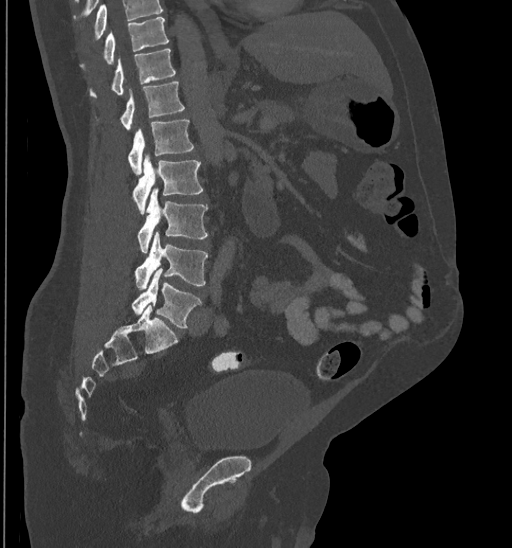

Computed tomography of the spine. sagittal view. Bone window (WL 400, WW 1800)
Boxes are (x1, y1, x2, y2) in pixels.
No box is given to a vertebra that the top edge of the scan cuts off.
Vertebra bounding boxes:
- L5: (132, 270, 201, 327)
- L4: (135, 231, 207, 290)
- L3: (138, 189, 207, 252)
- L2: (133, 156, 203, 214)
- L1: (128, 120, 193, 175)
- T12: (120, 82, 185, 129)
- T11: (89, 49, 175, 98)
- T10: (79, 17, 168, 67)